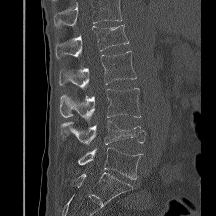
CT spine. sagittal view
Boxes: x1:y1:x2:y2 in pixels. A vertebra cut off by the top edge of the scan is not labeled and has no box. The labeled vertebrae in this slice are: L1 at 55:25:128:59, L2 at 59:51:136:89, L3 at 59:88:140:122, L4 at 60:121:145:145, L5 at 77:147:142:179.